Spine computed tomography · Sagittal slice 279/512 · bone window
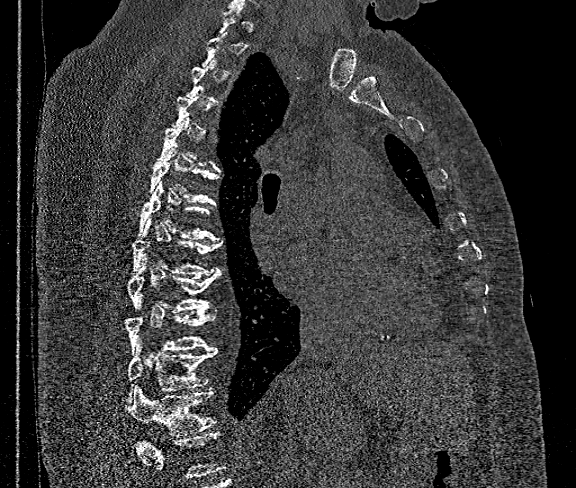
In the table, x1 and y1 are a box's top-left corner and x2 and y2 its bottom-right corner, in pixels.
Each vertebra is boxed only on the slices from the first to the last where its cross-section reaches a third of its largest, so a slice outside that range leaves it unboxed.
Where the bottom of the scan cuts through a vertebra, that vertebra gets no label or box.
| vertebra | x1 | y1 | x2 | y2 |
|---|---|---|---|---|
| T6 | 148 | 149 | 219 | 204 |
| T7 | 137 | 182 | 218 | 241 |
| T8 | 133 | 218 | 221 | 276 |
| T9 | 128 | 258 | 221 | 313 |
| T10 | 125 | 301 | 216 | 353 |
| T11 | 128 | 341 | 216 | 399 |
| T12 | 126 | 388 | 216 | 436 |